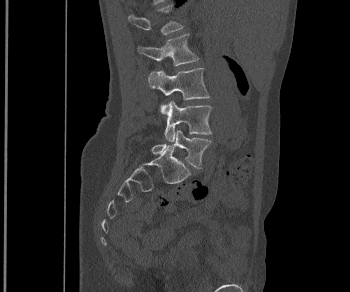

CT · sagittal view · bone-window reconstruction

<vertebrae><v name="L1" x1="128" y1="4" x2="183" y2="34"/><v name="L2" x1="137" y1="34" x2="198" y2="66"/><v name="L3" x1="148" y1="68" x2="209" y2="113"/><v name="L4" x1="164" y1="101" x2="212" y2="141"/><v name="L5" x1="151" y1="130" x2="211" y2="168"/></vertebrae>